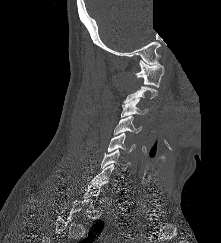

Computed tomography of the spine. sagittal view. Bone window (WL 400, WW 1800). a region of this slice is masked with a uniform fill
Each box given as x1,y1,x2,y2.
A vertebra is boxed only from the first to the last slice where its cross-section is at least a third of its largest; slices outside that range leave it without a box.
| vertebra | x1 | y1 | x2 | y2 |
|---|---|---|---|---|
| C7 | 91 | 164 | 118 | 186 |
| C6 | 101 | 149 | 130 | 171 |
| C5 | 108 | 133 | 135 | 153 |
| C4 | 113 | 116 | 141 | 135 |
| C3 | 121 | 97 | 148 | 117 |
| C1 | 133 | 60 | 164 | 87 |